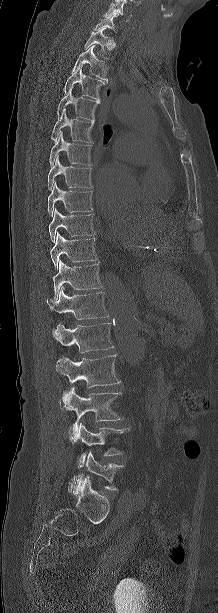
Computed tomography of the spine — sagittal view — 218x613 px
Each box given as x1,y1,x2,y2. This scan's labels start at C7 at the top and end at L5 at the bottom. Vertebrae labeled: C7 at x1=94, y1=13, x2=118, y2=32, T1 at x1=84, y1=27, x2=113, y2=59, T2 at x1=71, y1=45, x2=107, y2=82, T3 at x1=63, y1=65, x2=104, y2=99, T4 at x1=57, y1=86, x2=100, y2=120, T5 at x1=51, y1=109, x2=94, y2=144, T6 at x1=49, y1=132, x2=92, y2=165, T7 at x1=48, y1=155, x2=92, y2=189, T8 at x1=48, y1=182, x2=92, y2=215, T9 at x1=49, y1=209, x2=94, y2=242, T10 at x1=50, y1=232, x2=97, y2=269, T11 at x1=52, y1=260, x2=101, y2=301, T12 at x1=47, y1=286, x2=108, y2=319, L1 at x1=52, y1=323, x2=113, y2=353, L2 at x1=55, y1=354, x2=120, y2=387, L3 at x1=63, y1=387, x2=123, y2=442, L4 at x1=78, y1=423, x2=129, y2=467, L5 at x1=68, y1=451, x2=122, y2=493.